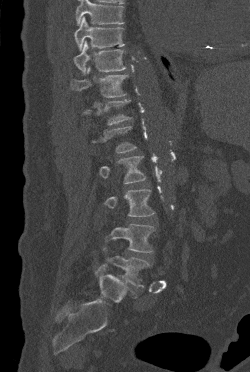
CT, spine. sagittal view. bone-window reconstruction. the image is 250 mm wide

Box edges are left/top/right/bottom in pixels. A vertebra gets a box only on the slices from the first to the last where its cross-section is at least a third of its largest; on a slice outside that range it gets none. Where the top of the scan cuts through a vertebra, that vertebra gets no label or box. 8 vertebrae labeled — T9 at left=74, top=16, right=124, bottom=50; T10 at left=73, top=41, right=125, bottom=74; T11 at left=71, top=66, right=128, bottom=97; T12 at left=83, top=99, right=131, bottom=125; L2 at left=99, top=156, right=145, bottom=183; L3 at left=104, top=189, right=154, bottom=216; L4 at left=105, top=224, right=155, bottom=252; L5 at left=103, top=248, right=149, bottom=287.